CT, spine · sagittal plane, index 111 · 232 mm wide · bone-window reconstruction
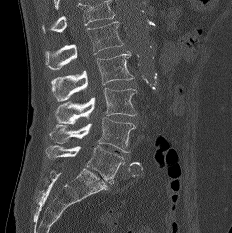

Coordinates as <box>x1,y1,x2,y2</box>.
Where the top of the scan cuts through a vertebra, that vertebra gets no label or box.
Vertebra bounding boxes:
- L5: <box>45,145,124,184</box>
- L4: <box>49,117,136,152</box>
- L3: <box>55,88,136,123</box>
- L2: <box>51,51,133,101</box>
- L1: <box>45,21,123,69</box>